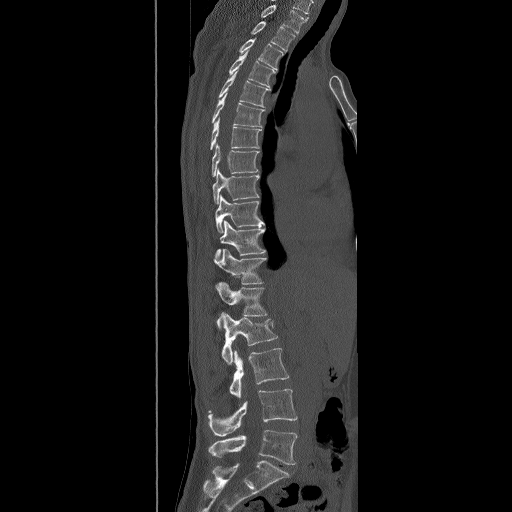

CT spine · sagittal reformat · bone window. Bounding boxes as [x1, y1, x2, y2] in pixel coordinates. The highest labeled vertebra in this scan is T2; the lowest is L5. 16 vertebrae labeled — T2 at [251, 21, 295, 51]; T3 at [239, 38, 283, 70]; T4 at [229, 51, 275, 88]; T5 at [217, 69, 270, 107]; T6 at [211, 93, 265, 127]; T7 at [210, 117, 261, 149]; T8 at [212, 144, 259, 176]; T9 at [212, 168, 259, 204]; T10 at [215, 194, 264, 233]; T11 at [214, 220, 266, 259]; T12 at [213, 248, 266, 290]; L1 at [217, 282, 267, 328]; L2 at [220, 312, 277, 364]; L3 at [229, 348, 289, 399]; L4 at [208, 388, 297, 436]; L5 at [208, 429, 297, 465].